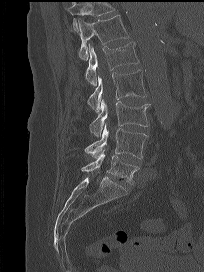

CT spine; sagittal view; 204 mm wide; 204x272 px
Where the top of the scan cuts through a vertebra, that vertebra gets no label or box.
<vertebrae><v name="T12" x1="78" y1="15" x2="129" y2="60"/><v name="L1" x1="84" y1="41" x2="139" y2="86"/><v name="L2" x1="88" y1="69" x2="147" y2="113"/><v name="L3" x1="89" y1="98" x2="150" y2="137"/><v name="L4" x1="83" y1="123" x2="147" y2="158"/><v name="L5" x1="81" y1="149" x2="138" y2="184"/></vertebrae>